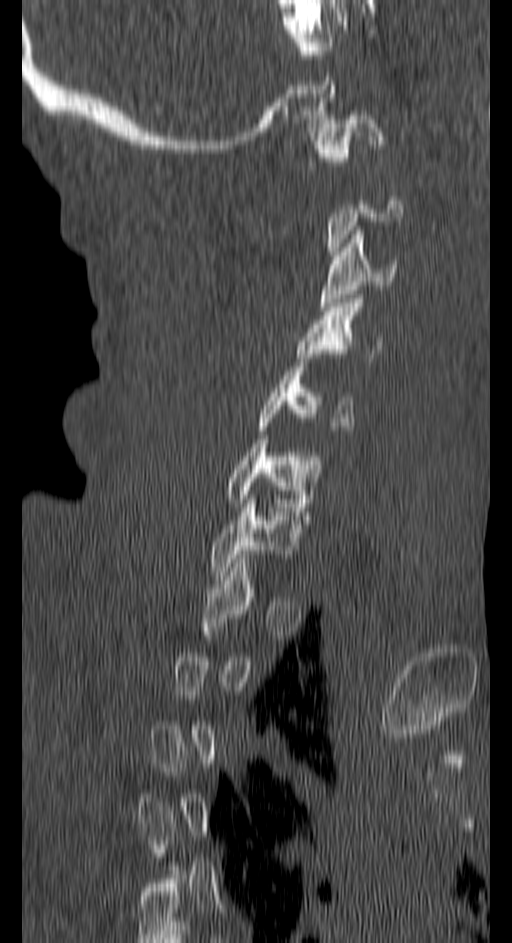 Spine CT. sagittal reformat. 150 mm image width. 512x943 px
In the table, x1 and y1 are a box's top-left corner and x2 and y2 its bottom-right corner, in pixels.
Each vertebra is boxed only on the slices from the first to the last where its cross-section reaches a third of its largest, so a slice outside that range leaves it unboxed.
| vertebra | x1 | y1 | x2 | y2 |
|---|---|---|---|---|
| C1 | 315 | 115 | 383 | 165 |
| C3 | 319 | 226 | 396 | 310 |
| C4 | 295 | 299 | 381 | 366 |
| C5 | 257 | 367 | 355 | 430 |
| C6 | 226 | 439 | 319 | 507 |
| C7 | 209 | 499 | 298 | 575 |